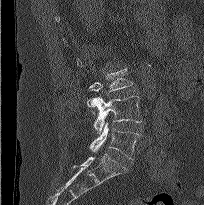 Spine computed tomography. sagittal view. 204 mm image width
In the table, x1 and y1 are a box's top-left corner and x2 and y2 its bottom-right corner, in pixels.
| vertebra | x1 | y1 | x2 | y2 |
|---|---|---|---|---|
| L3 | 88 | 68 | 133 | 114 |
| L4 | 87 | 96 | 142 | 133 |
| L5 | 89 | 122 | 140 | 160 |